CT. Sagittal slice 284/512. bone window. 563x990 px
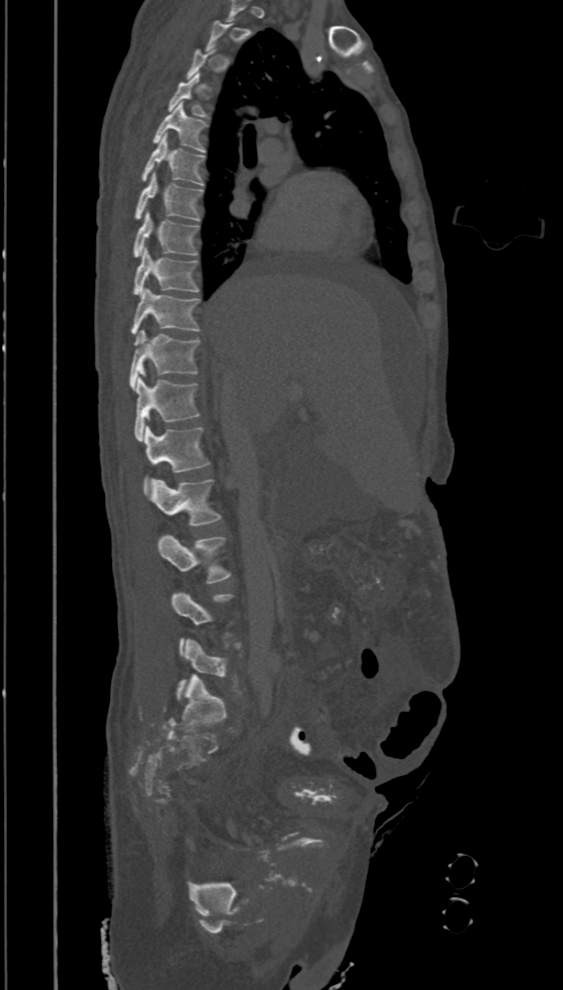
Boxes: x1 y1 x2 y2 (pixel coords, space-separated).
Not every vertebra on this slice has a box: a vertebra is boxed only from the first to the last slice where its cross-section is at least a third of its largest, and this slice is outside that range for at least one of them.
Vertebra bounding boxes:
- T4: 168 73 205 116
- T5: 153 102 206 152
- T6: 141 133 203 185
- T7: 135 172 201 221
- T8: 134 210 199 256
- T9: 134 247 199 295
- T10: 131 287 199 336
- T11: 130 330 200 390
- T12: 134 376 199 441
- L1: 143 425 209 494
- L2: 148 479 220 525
- L3: 158 535 230 582
- L5: 176 638 227 700